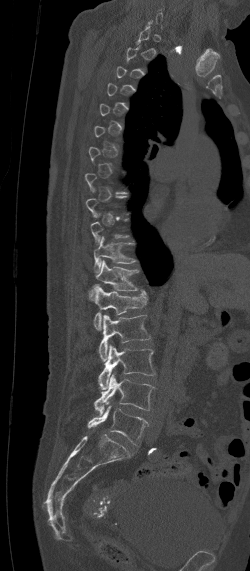 Spine computed tomography · sagittal view · 250 mm image width. Bounding boxes as [x1, y1, x2, y2] in pixel coordinates.
Each vertebra is boxed only on the slices from the first to the last where its cross-section reaches a third of its largest, so a slice outside that range leaves it unboxed.
L5: [87, 406, 147, 444]
L4: [93, 374, 154, 416]
L3: [97, 345, 154, 389]
L2: [98, 314, 150, 360]
L1: [93, 287, 146, 329]
T12: [87, 260, 139, 300]
T11: [93, 236, 134, 274]